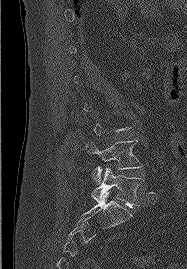 Computed tomography of the spine; sagittal reformat; 187x269 px
Boxes: x1:y1:x2:y2 in pixels.
A vertebra gets a box only on the slices from the first to the last where its cross-section is at least a third of its largest; on a slice outside that range it gets none.
L4: 86:139:141:183
L5: 92:167:143:207